CT spine — sagittal reformat
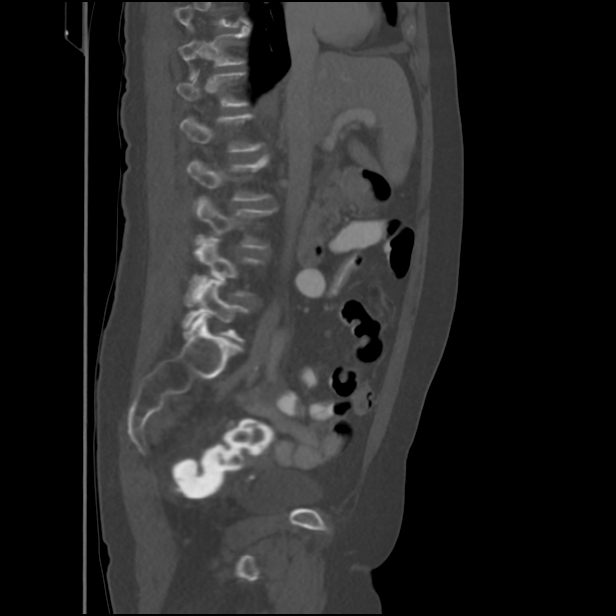
Boxes below are [x1, y1, x2, y2] in pixels.
No box is given to a vertebra that the top edge of the scan cuts off.
{"vertebrae":{"T11":[178,27,250,66],"T12":[176,72,246,107],"L1":[179,114,262,151],"L2":[186,155,269,201],"L3":[195,196,275,249],"L4":[184,236,261,303],"L5":[182,280,248,341]}}